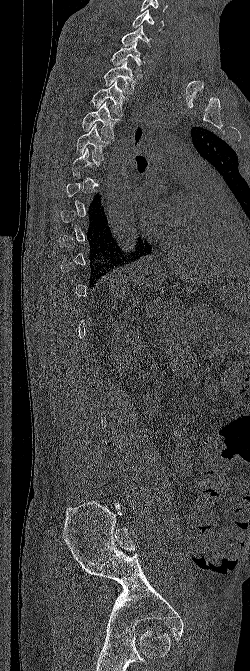
CT spine — sagittal reformat — bone-window reconstruction — 250x671 px
Box edges are left/top/right/bottom in pixels.
A vertebra gets a box only on the slices from the first to the last where its cross-section is at least a third of its largest; on a slice outside that range it gets none.
Vertebra bounding boxes:
- C6: left=132, top=9, right=164, bottom=31
- C7: left=121, top=25, right=153, bottom=47
- T1: left=110, top=42, right=141, bottom=72
- T2: left=103, top=61, right=136, bottom=94
- T3: left=91, top=80, right=131, bottom=116
- T4: left=81, top=102, right=122, bottom=138
- T5: left=76, top=124, right=112, bottom=160